CT spine — sagittal plane, index 74 — bone-window reconstruction
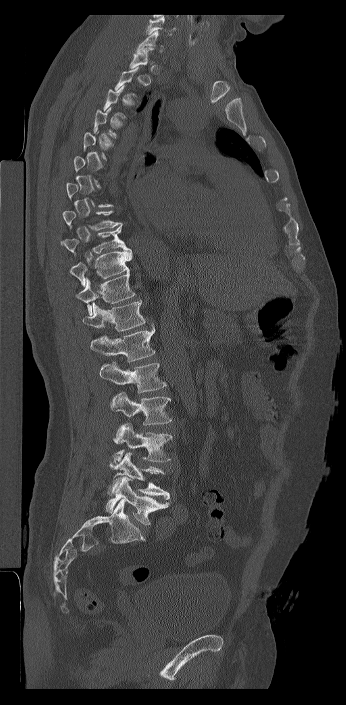
A vertebra is boxed only from the first to the last slice where its cross-section is at least a third of its largest; slices outside that range leave it without a box.
Labels in this scan begin with C7 at the top and end with L6 at the bottom.
The labels name a sixth lumbar vertebra for this spine: L6, after L5.
<vertebrae><v name="L6" x1="105" y1="477" x2="170" y2="525"/><v name="L5" x1="108" y1="451" x2="170" y2="500"/><v name="L4" x1="109" y1="423" x2="172" y2="466"/><v name="L3" x1="110" y1="392" x2="171" y2="425"/><v name="L2" x1="99" y1="361" x2="166" y2="393"/><v name="L1" x1="90" y1="326" x2="155" y2="362"/><v name="T12" x1="81" y1="300" x2="147" y2="331"/><v name="T11" x1="76" y1="272" x2="135" y2="315"/><v name="T10" x1="69" y1="248" x2="132" y2="286"/><v name="T9" x1="60" y1="225" x2="126" y2="255"/><v name="T8" x1="62" y1="210" x2="122" y2="230"/><v name="C7" x1="136" y1="31" x2="164" y2="52"/></vertebrae>